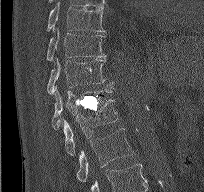 CT — sagittal view — 204 mm image width — bone-window reconstruction
<vertebrae><v name="T9" x1="47" y1="5" x2="105" y2="32"/><v name="T10" x1="46" y1="29" x2="106" y2="62"/><v name="T11" x1="47" y1="58" x2="113" y2="94"/><v name="T12" x1="52" y1="85" x2="114" y2="130"/><v name="L1" x1="63" y1="99" x2="117" y2="155"/><v name="L2" x1="76" y1="128" x2="133" y2="182"/></vertebrae>